Spine CT — sagittal view — bone-window reconstruction — 512x923 px
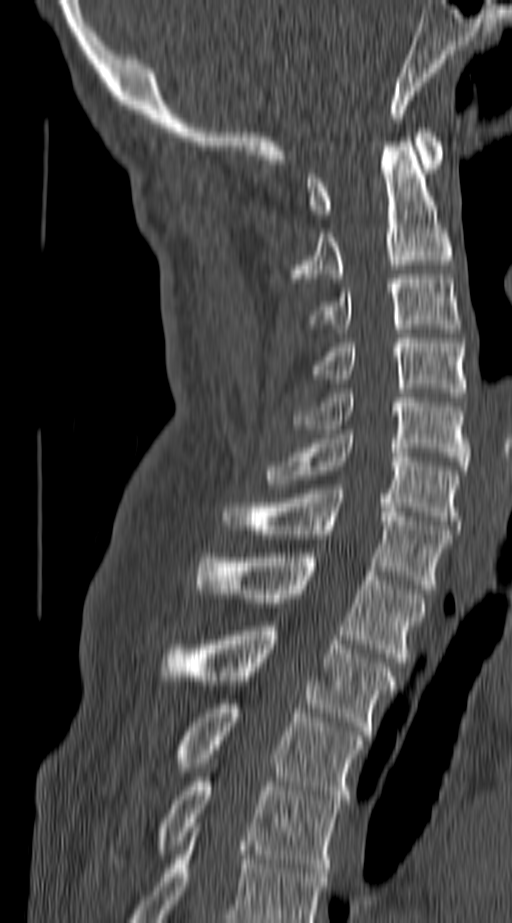
Bounding boxes as [x1, y1, x2, y2] in pixel coordinates.
Labels in this scan begin with C1 at the top and end with T4 at the bottom.
C1: [309, 128, 443, 218]
C2: [290, 142, 450, 278]
C3: [312, 274, 461, 328]
C4: [309, 338, 465, 397]
C5: [294, 389, 468, 470]
C6: [266, 434, 457, 529]
C7: [221, 489, 450, 589]
T1: [195, 553, 425, 666]
T2: [159, 626, 395, 735]
T3: [173, 699, 362, 804]
T4: [111, 777, 340, 872]